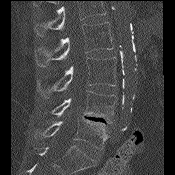

CT spine; sagittal reformat; W/L 1800/400 HU; 175x175 px
Boxes: x1 y1 x2 y2 (pixel coords, space-separated). Where the top of the scan cuts through a vertebra, that vertebra gets no label or box. Vertebrae labeled: L2 at 35 22 112 66, L3 at 36 57 116 98, L4 at 52 89 117 123, L5 at 35 116 109 149.